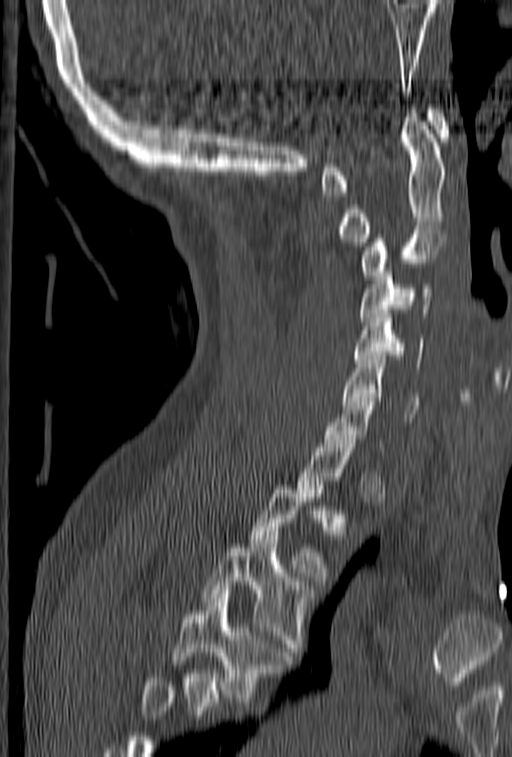

CT; sagittal view
Boxes: x1 y1 x2 y2 (pixel coords, space-separated). Each vertebra is boxed only on the slices from the first to the last where its cross-section reaches a third of its largest, so a slice outside that range leaves it unboxed. Where the bottom of the scan cuts through a vertebra, that vertebra gets no label or box. Vertebrae labeled: C1 at 320 105 451 196, C2 at 339 109 445 246, C3 at 359 230 447 279, C4 at 359 264 432 325, C5 at 353 310 425 371, C6 at 343 356 419 421, C7 at 322 389 384 451, T2 at 248 485 329 580, T3 at 202 540 315 656, T4 at 172 590 291 702.